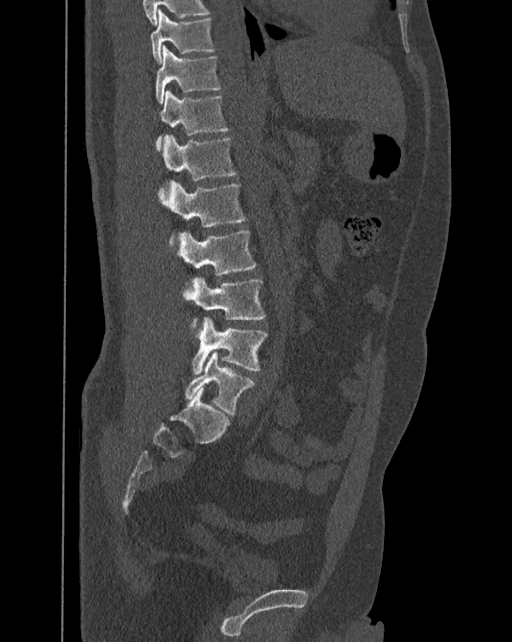
Computed tomography of the spine · 392 mm wide · sagittal view · 512x642 px
Box edges are left/top/right/bottom in pixels.
In these labels the spine has an L6, a sixth lumbar vertebra below L5.
L6: left=185, top=351, right=255, bottom=415
L5: left=192, top=317, right=268, bottom=374
L4: left=183, top=277, right=265, bottom=328
L3: left=179, top=230, right=256, bottom=275
L2: left=160, top=181, right=247, bottom=245
L1: left=163, top=135, right=237, bottom=181
T12: left=155, top=91, right=229, bottom=149
T11: left=155, top=46, right=221, bottom=104
T10: left=150, top=9, right=214, bottom=62